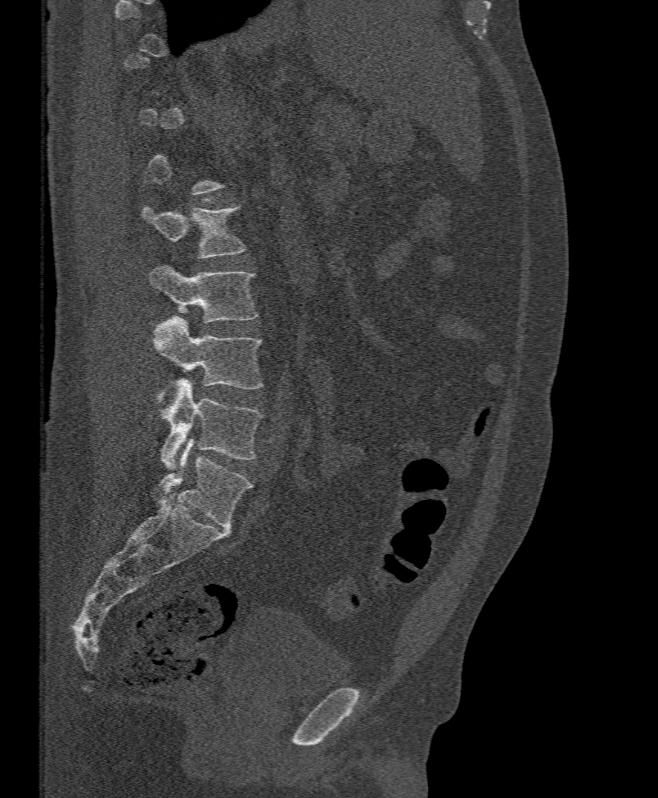

CT, spine. sagittal view. bone-window reconstruction. 658x798 px
Columns x1, y1, x2, y2 give each box's top-left and bottom-right pixels.
A vertebra gets a box only on the slices from the first to the last where its cross-section is at least a third of its largest; on a slice outside that range it gets none.
| vertebra | x1 | y1 | x2 | y2 |
|---|---|---|---|---|
| L2 | 141 | 205 | 246 | 259 |
| L3 | 150 | 265 | 259 | 322 |
| L4 | 153 | 316 | 263 | 402 |
| L5 | 159 | 378 | 263 | 469 |